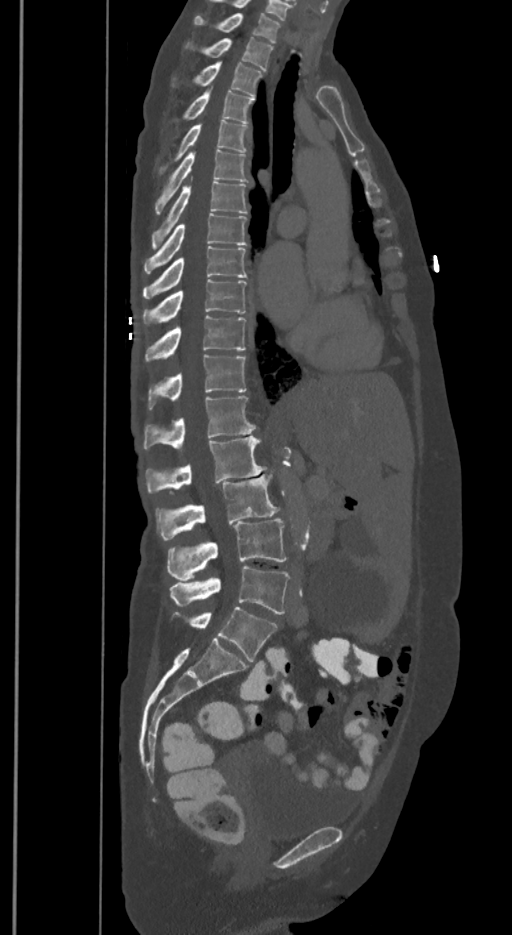

Spine CT. sagittal view. 512x935 px

Boxes are given in columns x1, y1, x2, y2, the pixel coordinates of their top-left and bottom-right corners.
These labels give the spine a sixth lumbar vertebra, L6, below L5.
| vertebra | x1 | y1 | x2 | y2 |
|---|---|---|---|---|
| T1 | 194 | 13 | 280 | 42 |
| T2 | 203 | 37 | 272 | 71 |
| T3 | 194 | 62 | 262 | 95 |
| T4 | 184 | 88 | 253 | 121 |
| T5 | 159 | 120 | 247 | 173 |
| T6 | 155 | 149 | 246 | 214 |
| T7 | 152 | 182 | 246 | 248 |
| T8 | 145 | 213 | 246 | 273 |
| T9 | 143 | 246 | 246 | 298 |
| T10 | 143 | 279 | 246 | 324 |
| T11 | 145 | 315 | 246 | 361 |
| T12 | 148 | 354 | 246 | 408 |
| L1 | 143 | 396 | 255 | 449 |
| L2 | 146 | 436 | 265 | 493 |
| L3 | 156 | 474 | 278 | 540 |
| L4 | 167 | 517 | 285 | 580 |
| L5 | 169 | 566 | 288 | 614 |
| L6 | 175 | 607 | 277 | 661 |